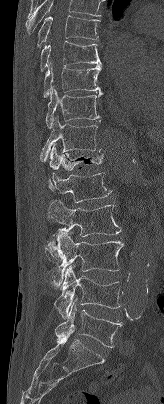 CT · the image is 164 mm wide · sagittal reformat · bone window
The highest labeled vertebra in this scan is T7; the lowest is L5.
<vertebrae><v name="T7" x1="37" y1="15" x2="100" y2="46"/><v name="T8" x1="40" y1="41" x2="101" y2="71"/><v name="T9" x1="43" y1="62" x2="103" y2="97"/><v name="T10" x1="45" y1="87" x2="102" y2="128"/><v name="T11" x1="40" y1="117" x2="102" y2="161"/><v name="T12" x1="49" y1="144" x2="104" y2="170"/><v name="L1" x1="48" y1="172" x2="111" y2="202"/><v name="L2" x1="45" y1="199" x2="121" y2="261"/><v name="L3" x1="53" y1="230" x2="123" y2="286"/><v name="L4" x1="54" y1="265" x2="120" y2="319"/><v name="L5" x1="55" y1="300" x2="122" y2="347"/></vertebrae>